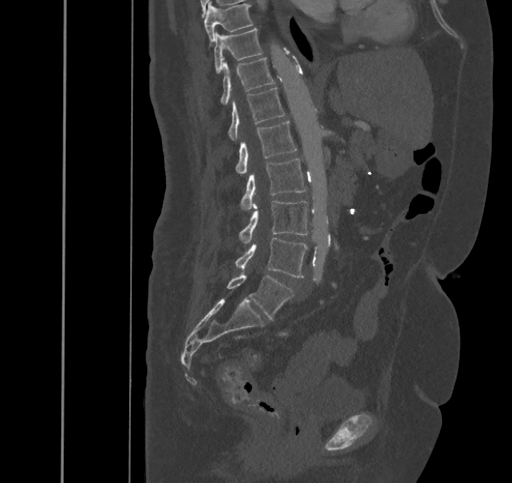 Spine CT. sagittal view. 445 mm image width

Box edges are left/top/right/bottom in pixels. The labeled vertebrae in this slice are: L5 at left=227, top=271, right=293, bottom=319, L4 at left=235, top=237, right=307, bottom=277, L3 at left=239, top=201, right=307, bottom=243, L2 at left=240, top=158, right=306, bottom=209, L1 at left=236, top=120, right=297, bottom=173, T12 at left=229, top=87, right=284, bottom=140, T11 at left=221, top=58, right=274, bottom=105, T10 at left=213, top=28, right=262, bottom=74, T9 at left=204, top=2, right=252, bottom=40.